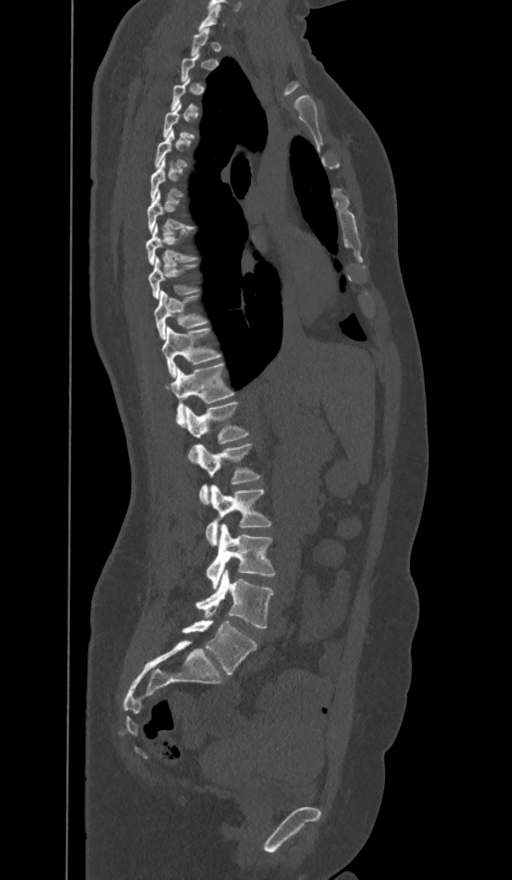
CT spine · sagittal view
A vertebra gets a box only on the slices from the first to the last where its cross-section is at least a third of its largest; on a slice outside that range it gets none.
These labels give the spine a sixth lumbar vertebra, L6, below L5.
<vertebrae><v name="C7" x1="198" y1="4" x2="221" y2="30"/><v name="T7" x1="148" y1="190" x2="195" y2="232"/><v name="T8" x1="146" y1="224" x2="197" y2="264"/><v name="T9" x1="149" y1="258" x2="197" y2="298"/><v name="T10" x1="155" y1="291" x2="208" y2="339"/><v name="T11" x1="161" y1="327" x2="221" y2="377"/><v name="T12" x1="171" y1="362" x2="234" y2="424"/><v name="L1" x1="185" y1="400" x2="248" y2="461"/><v name="L2" x1="197" y1="444" x2="260" y2="504"/><v name="L3" x1="205" y1="485" x2="271" y2="545"/><v name="L4" x1="207" y1="524" x2="275" y2="587"/><v name="L5" x1="196" y1="569" x2="274" y2="629"/><v name="L6" x1="182" y1="620" x2="256" y2="675"/></vertebrae>